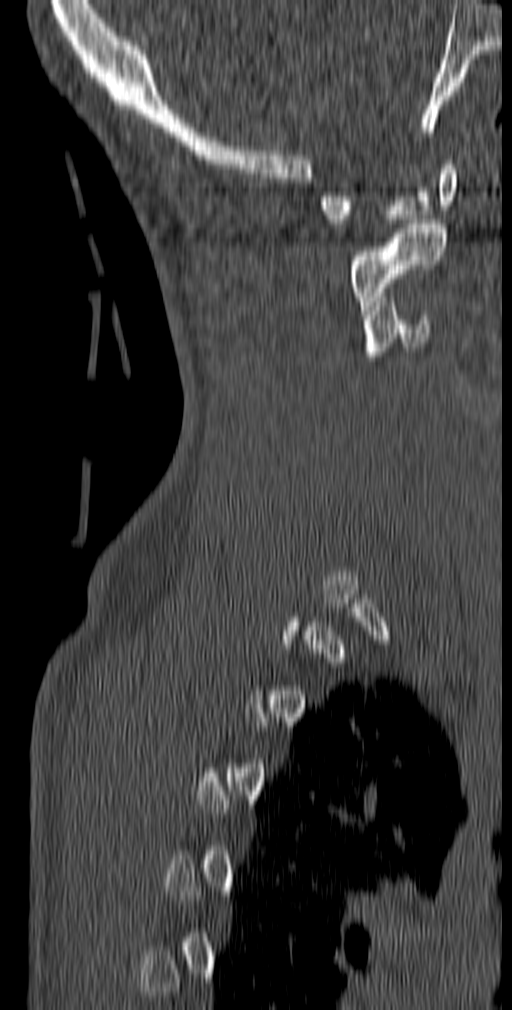
CT, spine · sagittal view · bone window · 140 mm image width. Each row gives a vertebra's box as x1, y1, x2, y2 in pixels: top-left corner, then bottom-right corner.
Not every vertebra on this slice has a box: a vertebra is boxed only from the first to the last slice where its cross-section is at least a third of its largest, and this slice is outside that range for at least one of them.
| vertebra | x1 | y1 | x2 | y2 |
|---|---|---|---|---|
| C3 | 363 | 297 | 430 | 360 |
| C2 | 349 | 219 | 446 | 314 |
| C1 | 319 | 160 | 457 | 228 |